CT, spine — sagittal view — 512x757 px — image width 153 mm
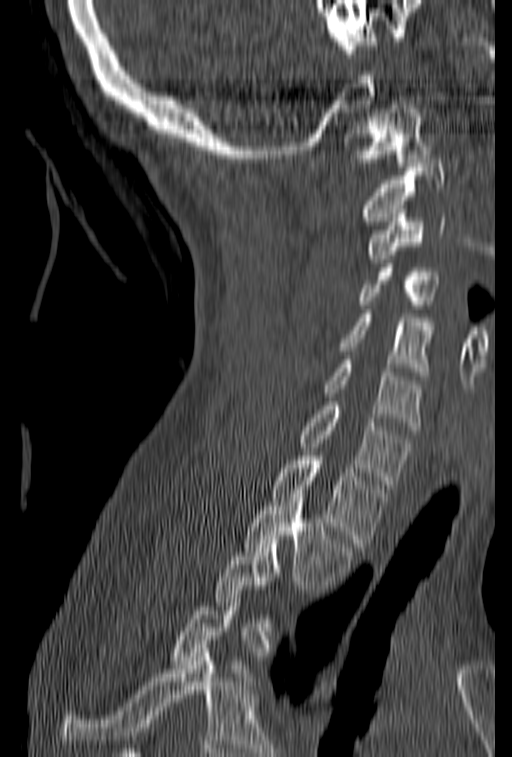
Boxes: x1:y1:x2:y2 in pixels. A vertebra gets a box only on the slices from the first to the last where its cross-section is at least a third of its largest; on a slice outside that range it gets none. Vertebrae labeled: T2 at 244:489:353:589, T1 at 271:452:388:547, C7 at 299:397:412:488, C6 at 324:356:422:430, C5 at 309:310:432:375, C4 at 356:259:439:309, C3 at 365:205:445:263, C2 at 363:159:445:229, C1 at 342:105:431:166.